CT, spine; sagittal view; Bone window (WL 400, WW 1800); image width 281 mm; scan covers 9 annotated vertebrae; a region is blanked to uniform black, ending in a straight edge
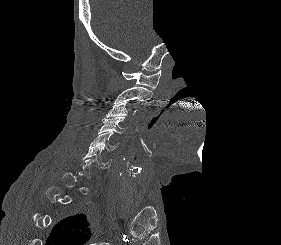
Box edges are left/top/right/bottom in pixels. Each vertebra is boxed only on the slices from the first to the last where its cross-section reaches a third of its largest, so a slice outside that range leaves it unboxed. The labeled vertebrae in this slice are: C1 at left=122, top=69, right=161, bottom=90, C2 at left=113, top=86, right=152, bottom=104, C3 at left=105, top=101, right=137, bottom=117, C4 at left=98, top=116, right=127, bottom=133, C5 at left=88, top=132, right=120, bottom=151, C6 at left=83, top=145, right=112, bottom=167.